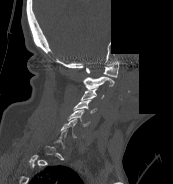

CT spine — sagittal view — bone window — 173x184 px — 173 mm across the image — part of the image is constant black where the scan was masked
Each box is [x1, y1, x2, y2] in pixels: top-left corner, then bottom-right corner.
Each vertebra is boxed only on the slices from the first to the last where its cross-section reaches a third of its largest, so a slice outside that range leaves it unboxed.
{"vertebrae":{"C1":[86,61,118,77],"C2":[83,76,114,88],"C3":[81,88,104,100],"C4":[73,100,97,113],"C5":[67,109,90,126]}}